Spine computed tomography · sagittal reformat · 702x1284 px
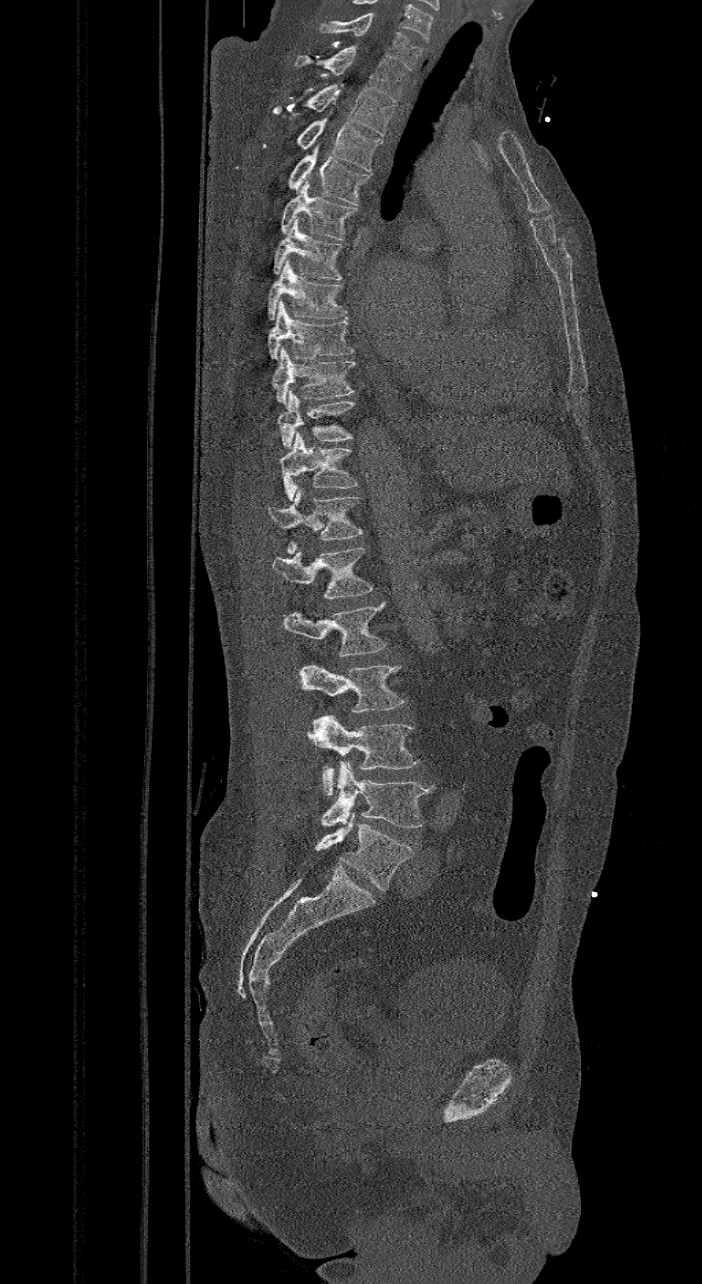

The labels name a sixth lumbar vertebra for this spine: L6, after L5.
<vertebrae><v name="L6" x1="315" y1="813" x2="414" y2="890"/><v name="L5" x1="322" y1="761" x2="432" y2="828"/><v name="L4" x1="307" y1="714" x2="418" y2="795"/><v name="L3" x1="300" y1="663" x2="406" y2="712"/><v name="L2" x1="284" y1="600" x2="387" y2="657"/><v name="L1" x1="271" y1="547" x2="375" y2="597"/><v name="T12" x1="267" y1="489" x2="362" y2="555"/><v name="T11" x1="280" y1="430" x2="359" y2="500"/><v name="T10" x1="278" y1="390" x2="355" y2="448"/><v name="T9" x1="271" y1="345" x2="355" y2="405"/><v name="T8" x1="267" y1="300" x2="354" y2="360"/><v name="T7" x1="267" y1="260" x2="350" y2="320"/><v name="T6" x1="273" y1="218" x2="344" y2="279"/><v name="T5" x1="280" y1="175" x2="357" y2="240"/><v name="T4" x1="288" y1="144" x2="370" y2="205"/><v name="T3" x1="296" y1="119" x2="383" y2="171"/><v name="T2" x1="273" y1="84" x2="395" y2="135"/><v name="T1" x1="293" y1="45" x2="407" y2="102"/><v name="C7" x1="319" y1="15" x2="422" y2="69"/></vertebrae>